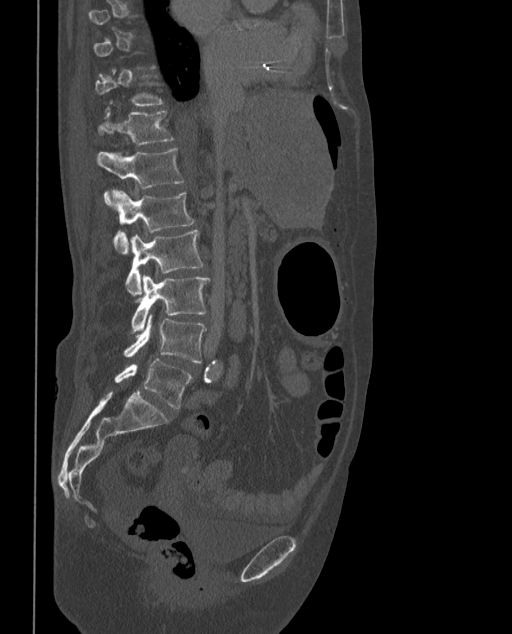
CT — sagittal view — bone window — 512x634 px
In the table, x1 and y1 are a box's top-left corner and x2 and y2 its bottom-right corner, in pixels.
A vertebra gets a box only on the slices from the first to the last where its cross-section is at least a third of its largest; on a slice outside that range it gets none.
These labels give the spine a sixth lumbar vertebra, L6, below L5.
| vertebra | x1 | y1 | x2 | y2 |
|---|---|---|---|---|
| T11 | 96 | 69 | 164 | 105 |
| T12 | 97 | 111 | 175 | 145 |
| L1 | 97 | 148 | 184 | 207 |
| L2 | 112 | 190 | 195 | 252 |
| L3 | 126 | 229 | 205 | 295 |
| L4 | 132 | 275 | 210 | 333 |
| L5 | 123 | 315 | 206 | 362 |
| L6 | 114 | 358 | 192 | 408 |